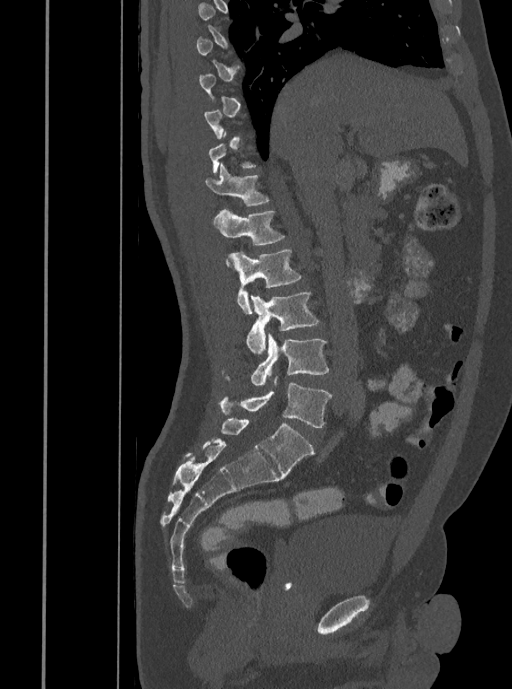
Spine CT — image 408 mm wide — sagittal view — bone window — 512x689 px

Boxes are (x1, y1, x2, y2) in pixels.
A vertebra gets a box only on the slices from the first to the last where its cross-section is at least a third of its largest; on a slice outside that range it gets none.
Vertebra bounding boxes:
- T12: (205, 163, 269, 206)
- L1: (212, 209, 284, 266)
- L2: (228, 250, 301, 313)
- L3: (246, 293, 319, 355)
- L4: (222, 333, 329, 385)
- L5: (219, 376, 331, 427)